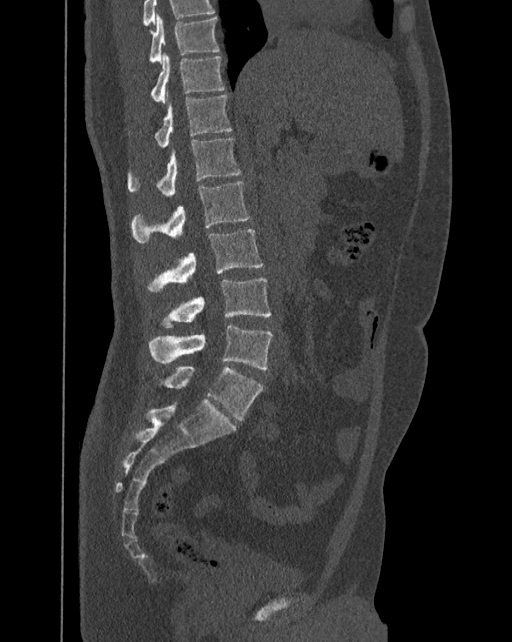

Spine computed tomography — sagittal view — Bone window (WL 400, WW 1800) — 512x642 px
In this scan, the topmost labeled vertebra is T10 and the lowest is L6.
In these labels the spine has an L6, a sixth lumbar vertebra below L5.
<vertebrae><v name="T10" x1="149" y1="14" x2="220" y2="62"/><v name="T11" x1="150" y1="53" x2="225" y2="102"/><v name="T12" x1="128" y1="93" x2="233" y2="147"/><v name="L1" x1="128" y1="138" x2="240" y2="195"/><v name="L2" x1="130" y1="181" x2="251" y2="242"/><v name="L3" x1="146" y1="229" x2="263" y2="291"/><v name="L4" x1="149" y1="277" x2="271" y2="327"/><v name="L5" x1="149" y1="324" x2="272" y2="369"/><v name="L6" x1="164" y1="367" x2="263" y2="420"/></vertebrae>